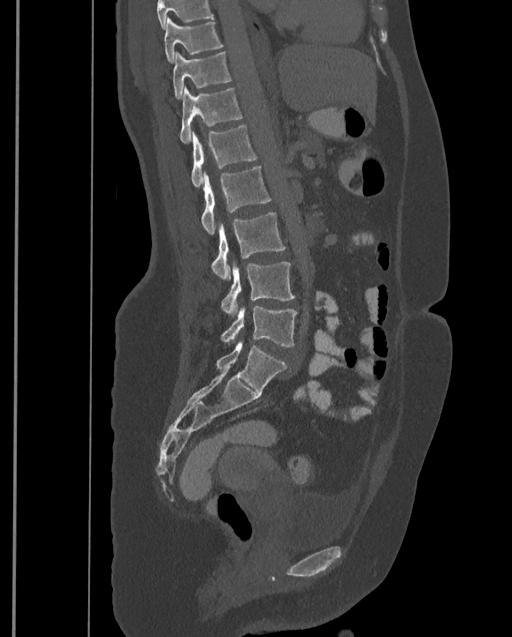
CT, spine. sagittal view. the image spans 399 mm across. 512x637 px
Each box given as x1,y1,x2,y2.
Where the top of the scan cuts through a vertebra, that vertebra gets no label or box.
In this scan, the topmost labeled vertebra is T9 and the lowest is L4.
Vertebra bounding boxes:
- L4: x1=221, y1=306, x2=297, y2=347
- L3: x1=221, y1=261, x2=295, y2=317
- L2: x1=212, y1=212, x2=285, y2=281
- L1: x1=201, y1=166, x2=271, y2=235
- T12: x1=191, y1=125, x2=257, y2=187
- T11: x1=180, y1=85, x2=243, y2=143
- T10: x1=172, y1=51, x2=231, y2=99
- T9: x1=164, y1=16, x2=223, y2=63